Spine CT — sagittal view — a region of this slice is masked with a uniform fill
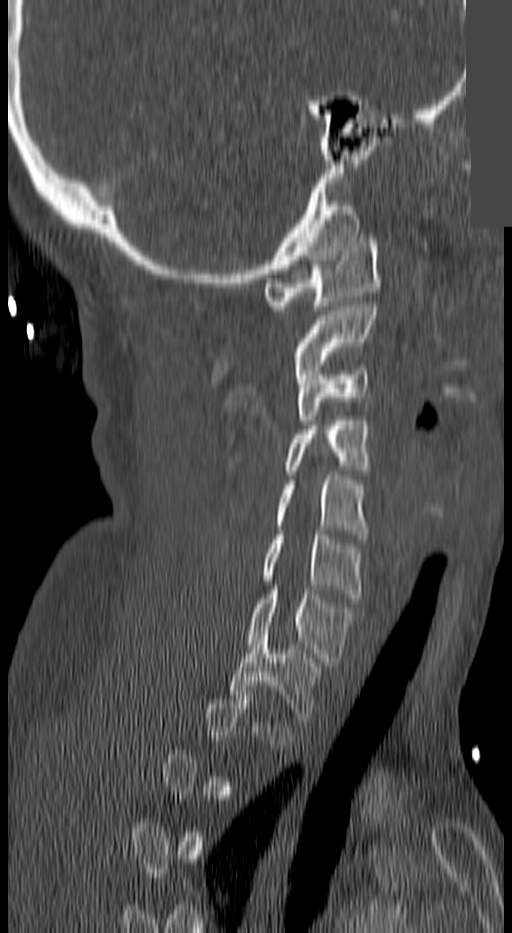 Boxes: x1 y1 x2 y2 (pixel coords, space-separated). A vertebra is boxed only from the first to the last slice where its cross-section is at least a third of its largest; slices outside that range leave it without a box. Vertebrae labeled: C1 at 265 238 381 310, C2 at 294 302 377 374, C3 at 294 366 370 424, C4 at 283 416 373 474, C5 at 276 475 370 538, C6 at 261 535 362 598, C7 at 246 590 355 666, T1 at 228 635 322 726.